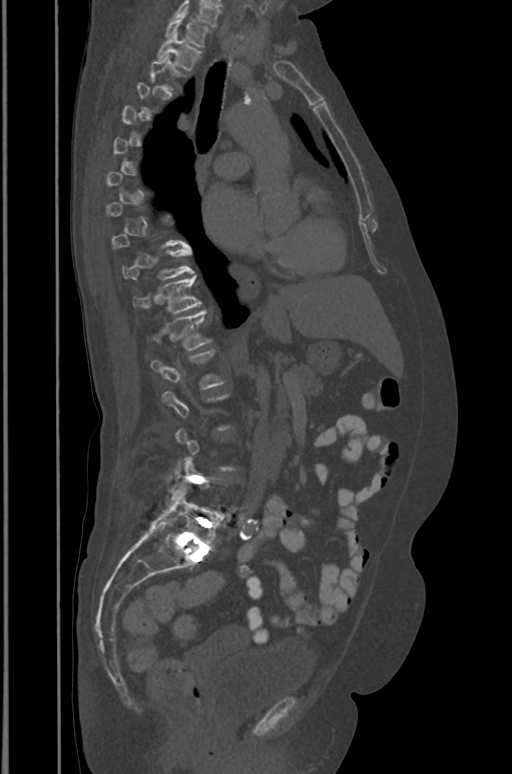 CT; sagittal view; 512x774 px
Boxes: x1 y1 x2 y2 (pixel coords, space-separated).
A vertebra gets a box only on the slices from the first to the last where its cross-section is at least a third of its largest; on a slice outside that range it gets none.
The highest labeled vertebra in this scan is T1; the lowest is L5.
Vertebra bounding boxes:
- T1: 165 15 209 47
- T2: 157 34 201 70
- T10: 122 247 194 279
- T11: 134 276 202 312
- T12: 156 310 210 349
- L5: 153 489 220 547